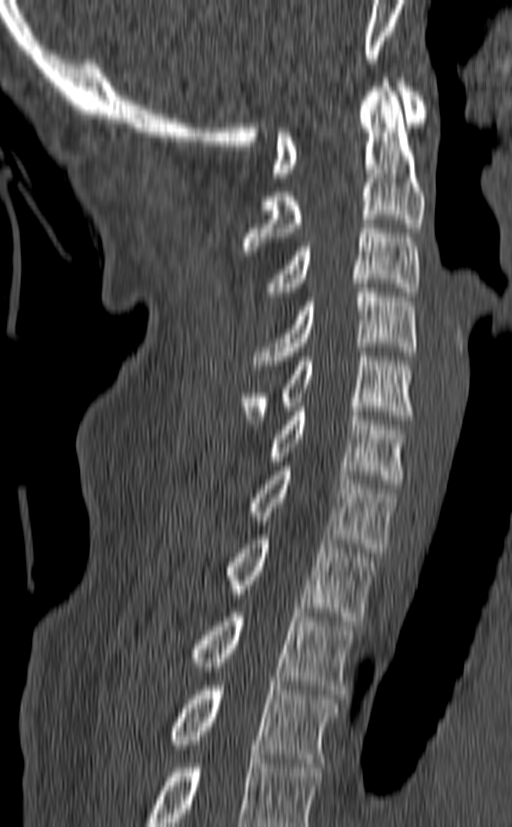
Spine CT — sagittal view — bone-window reconstruction — 512x827 px
Bounding boxes as [x1, y1, x2, y2] in pixel coordinates.
In this scan, the topmost labeled vertebra is C1 and the lowest is T3.
Vertebra bounding boxes:
- T3: [170, 686, 337, 767]
- T2: [192, 608, 355, 694]
- T1: [228, 535, 373, 621]
- C7: [250, 466, 395, 552]
- C6: [266, 402, 406, 488]
- C5: [240, 352, 414, 424]
- C4: [254, 283, 417, 369]
- C3: [265, 219, 419, 296]
- C2: [242, 78, 425, 255]
- C1: [272, 78, 427, 177]